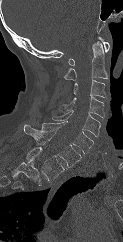

CT, spine; 123 mm wide; sagittal view; bone window; 123x242 px
Coordinates as <box>x1,y1,x2,y2</box>.
In this scan, the topmost labeled vertebra is C1 and the lowest is T1.
C1: <box>68,36,109,65</box>
C2: <box>64,41,107,80</box>
C3: <box>73,79,105,97</box>
C4: <box>58,97,104,118</box>
C5: <box>52,110,100,138</box>
C6: <box>40,121,93,153</box>
C7: <box>23,124,81,167</box>
T1: <box>26,147,64,180</box>